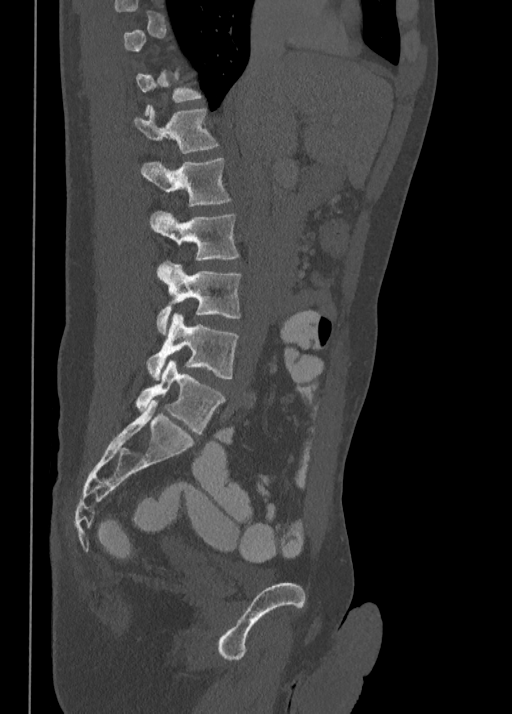 Spine computed tomography — sagittal view
Each box given as x1,y1,x2,y2.
A vertebra is boxed only from the first to the last slice where its cross-section is at least a third of its largest; slices outside that range leave it without a box.
T12: x1=134, y1=105, x2=218, y2=152
L1: x1=142, y1=158, x2=231, y2=207
L2: x1=150, y1=211, x2=239, y2=261
L3: x1=156, y1=261, x2=242, y2=333
L4: x1=146, y1=313, x2=239, y2=381
L5: x1=136, y1=359, x2=224, y2=433